Spine computed tomography · sagittal reformat · bone window · 512x760 px
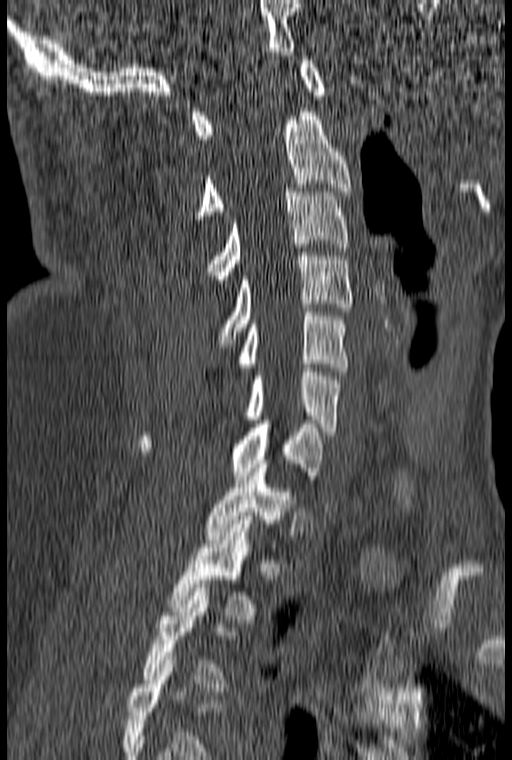
Each box is [x1, y1, x2, y2] in pixels: top-left corner, then bottom-right corner.
This scan's labels start at C1 at the top and end at T3 at the bottom.
{"vertebrae":{"T3":[142,584,227,691],"T2":[168,520,259,623],"T1":[203,464,293,543],"C7":[138,420,324,479],"C6":[244,368,343,435],"C5":[202,308,349,383],"C4":[219,252,352,347],"C3":[206,188,349,283],"C2":[196,112,350,219],"C1":[192,56,325,139]}}